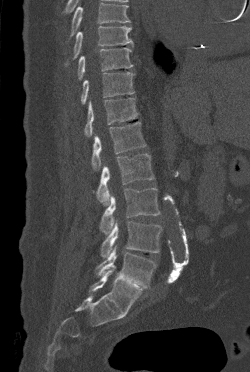

Spine computed tomography. sagittal reformat. bone window. the image is 250 mm wide. 250x372 px
Box edges are left/top/right/bottom in pixels.
No box is given to a vertebra that the top edge of the scan cuts off.
L5: left=96, top=245, right=156, bottom=288
L4: left=101, top=221, right=162, bottom=257
L3: left=100, top=188, right=160, bottom=234
L2: left=96, top=153, right=154, bottom=205
L1: left=92, top=121, right=146, bottom=170
T12: left=84, top=98, right=137, bottom=136
T11: left=81, top=72, right=135, bottom=104
T10: left=77, top=47, right=133, bottom=80
T9: left=65, top=26, right=133, bottom=65